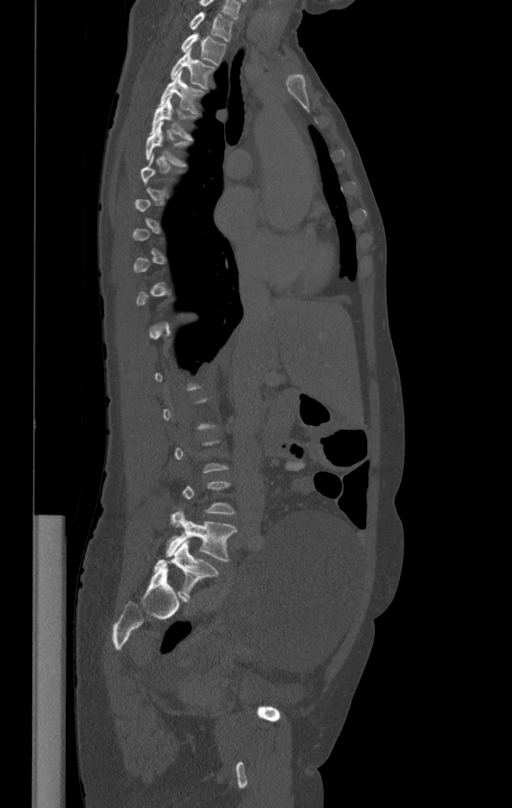
CT spine. sagittal view. W/L 1800/400 HU. 412 mm image width
Not every vertebra on this slice has a box: a vertebra is boxed only from the first to the last slice where its cross-section is at least a third of its largest, and this slice is outside that range for at least one of them.
<vertebrae><v name="T1" x1="190" y1="12" x2="233" y2="42"/><v name="T2" x1="181" y1="32" x2="225" y2="65"/><v name="T3" x1="170" y1="49" x2="214" y2="88"/><v name="T4" x1="160" y1="70" x2="203" y2="113"/><v name="T5" x1="150" y1="96" x2="194" y2="139"/><v name="T6" x1="146" y1="122" x2="188" y2="166"/><v name="L5" x1="166" y1="512" x2="236" y2="560"/></vertebrae>